CT — Sagittal slice 245/512 — Bone window (WL 400, WW 1800)
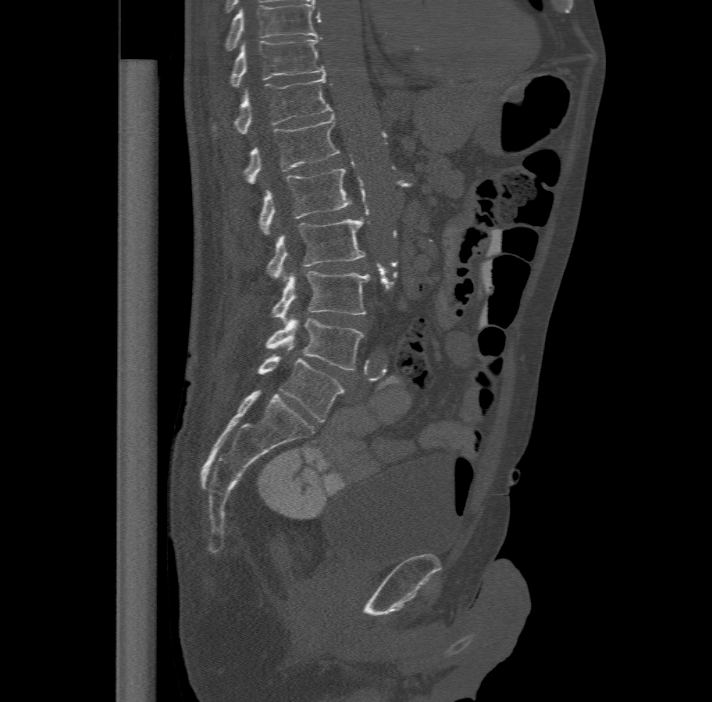
Each vertebra maps to its box as [x1, y1, x2, y2], the pixel coordinates of its top-left and bottom-right corners.
Labels in this scan begin with T11 at the top and end with L6 at the bottom.
These labels give the spine a sixth lumbar vertebra, L6, below L5.
{"vertebrae":{"T11":[229,39,324,85],"T12":[213,73,331,133],"L1":[245,115,340,182],"L2":[260,167,351,235],"L3":[267,216,365,278],"L4":[271,270,369,321],"L5":[266,316,363,370],"L6":[259,345,344,422]}}